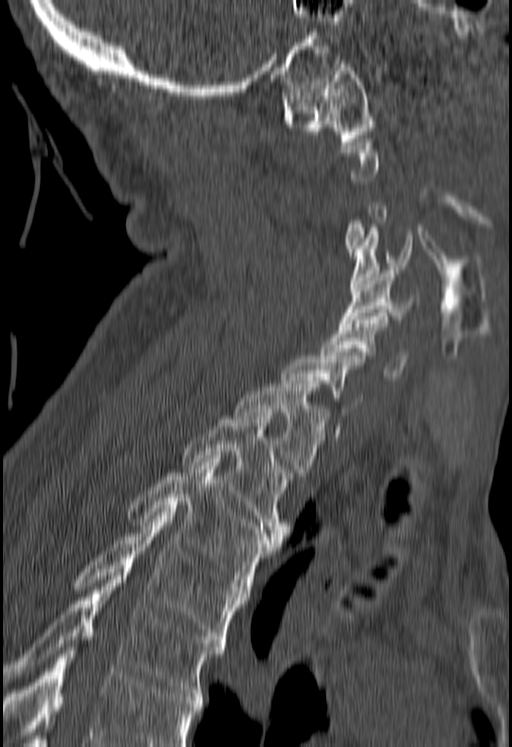 Spine computed tomography — sagittal view. Boxes are (x1, y1, x2, y2) in pixels. A vertebra gets a box only on the slices from the first to the last where its cross-section is at least a third of its largest; on a slice outside that range it gets none. A vertebra cut off by the bottom edge of the scan is not labeled and has no box. Vertebrae labeled: C1 at (282, 60, 373, 141), C4 at (350, 228, 412, 291), C5 at (338, 270, 419, 326), C6 at (319, 316, 409, 379), T1 at (235, 384, 330, 475), T2 at (181, 416, 290, 539), T3 at (129, 459, 279, 589), T4 at (75, 512, 245, 643), T5 at (3, 572, 225, 696).